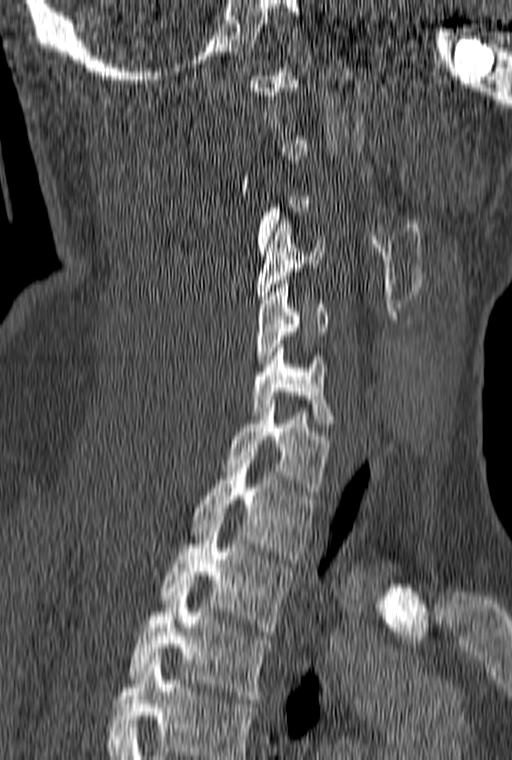 Spine CT · image 160 mm wide · sagittal view
Boxes are (x1, y1, x2, y2) in pixels.
A vertebra is boxed only from the first to the last slice where its cross-section is at least a third of its largest; slices outside that range leave it without a box.
This scan's labels start at C1 at the top and end at T3 at the bottom.
C4: (257, 220, 325, 303)
C5: (256, 280, 327, 367)
C6: (251, 344, 333, 427)
C7: (225, 400, 330, 495)
T1: (191, 452, 315, 559)
T2: (161, 520, 291, 635)
T3: (129, 588, 269, 703)